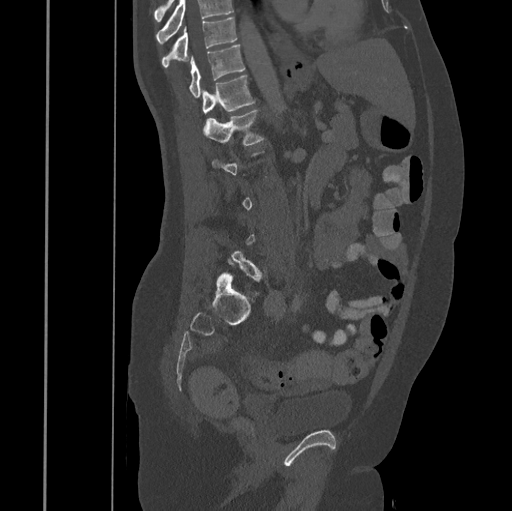 Computed tomography of the spine; image 445 mm wide; sagittal view
A vertebra gets a box only on the slices from the first to the last where its cross-section is at least a third of its largest; on a slice outside that range it gets none.
A vertebra cut off by the top edge of the scan is not labeled and has no box.
<vertebrae><v name="L1" x1="203" y1="109" x2="265" y2="145"/><v name="T12" x1="202" y1="75" x2="254" y2="114"/><v name="T11" x1="189" y1="45" x2="245" y2="96"/><v name="T10" x1="161" y1="17" x2="237" y2="67"/></vertebrae>